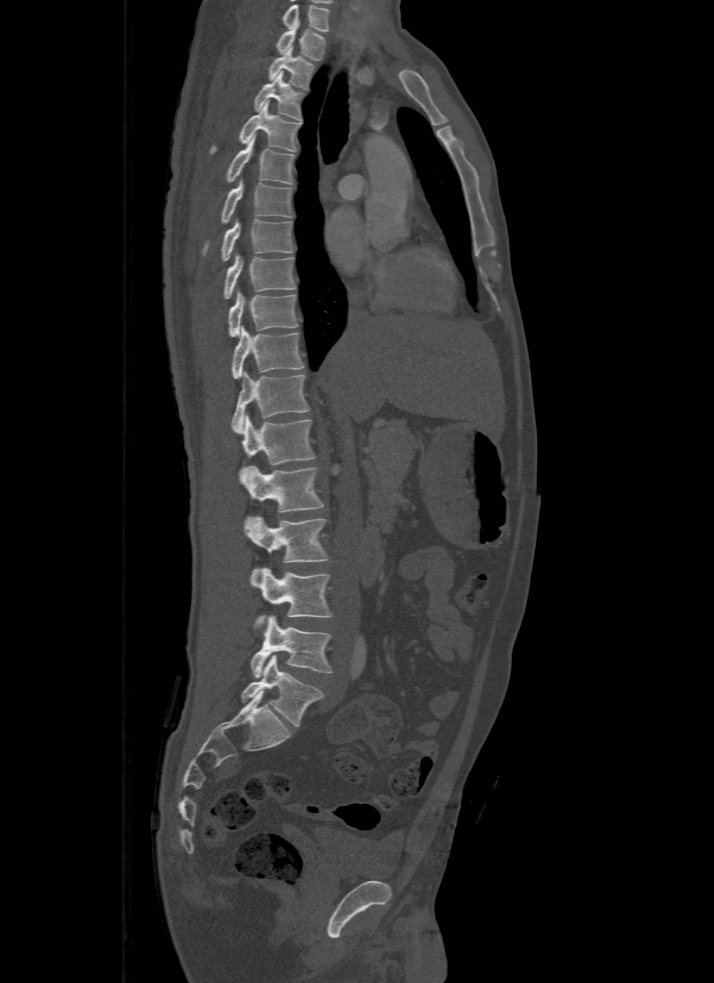 Spine CT · sagittal view · W/L 1800/400 HU
Bounding boxes as [x1, y1, x2, y2] in pixel coordinates.
This scan's labels start at T1 at the top and end at L5 at the bottom.
L5: [241, 655, 323, 727]
L4: [250, 616, 332, 677]
L3: [250, 568, 332, 625]
L2: [246, 516, 330, 575]
L1: [240, 466, 323, 525]
T12: [240, 415, 314, 479]
T11: [232, 370, 309, 433]
T10: [232, 326, 303, 378]
T9: [229, 290, 298, 337]
T8: [223, 253, 296, 298]
T7: [222, 219, 293, 261]
T6: [202, 180, 292, 255]
T5: [226, 136, 295, 184]
T4: [211, 102, 300, 154]
T3: [254, 72, 303, 121]
T2: [268, 48, 314, 89]
T1: [276, 28, 325, 59]